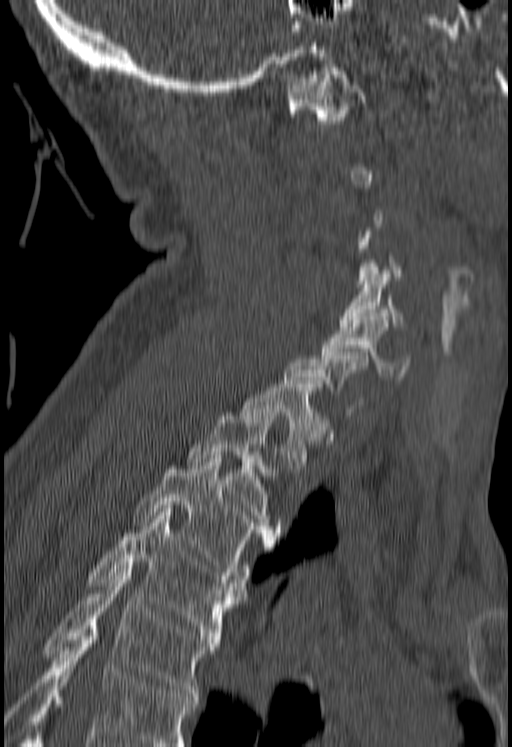
Spine CT; sagittal view; bone window; the image spans 180 mm across; 512x747 px
Bounding boxes as [x1, y1, x2, y2] in pixel coordinates. Each vertebra is boxed only on the slices from the first to the last where its cross-section reaches a third of its largest, so a slice outside that range leaves it unboxed. A vertebra cut off by the bottom edge of the scan is not labeled and has no box. The labeled vertebrae in this slice are: T5 at [44, 569, 216, 696], T4 at [89, 512, 245, 643], T3 at [133, 459, 276, 579], T2 at [186, 412, 283, 536], T1 at [240, 384, 328, 468], C6 at [321, 316, 409, 379], C5 at [339, 270, 404, 326], C1 at [286, 68, 366, 127].